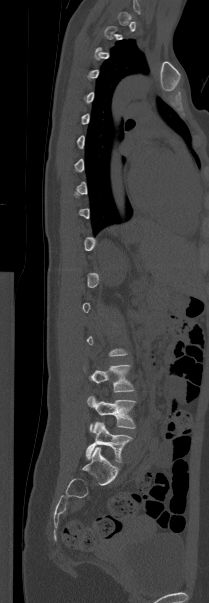 CT spine — the image spans 209 mm across — sagittal reformat

Each box given as x1,y1,x2,y2.
A vertebra gets a box only on the slices from the first to the last where its cross-section is at least a third of its largest; on a slice outside that range it gets none.
L5: x1=86, y1=422, x2=132, y2=462
L4: x1=87, y1=396, x2=135, y2=430
L3: x1=90, y1=365, x2=134, y2=392